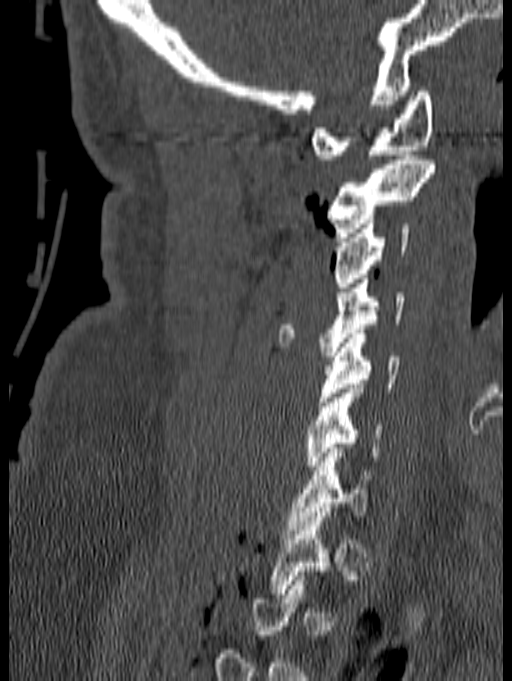
CT, spine — sagittal view — image 140 mm wide — bone window — 512x681 px
Box values are [left, top, right, bottom] in pixels.
A vertebra gets a box only on the slices from the first to the last where its cross-section is at least a third of its largest; on a slice outside that range it gets none.
{"vertebrae":{"C1":[310,91,433,159],"C2":[327,155,436,237],"C3":[333,219,410,287],"C4":[278,274,404,356],"C5":[318,329,399,401],"C6":[305,384,382,470],"C7":[285,443,374,534]}}